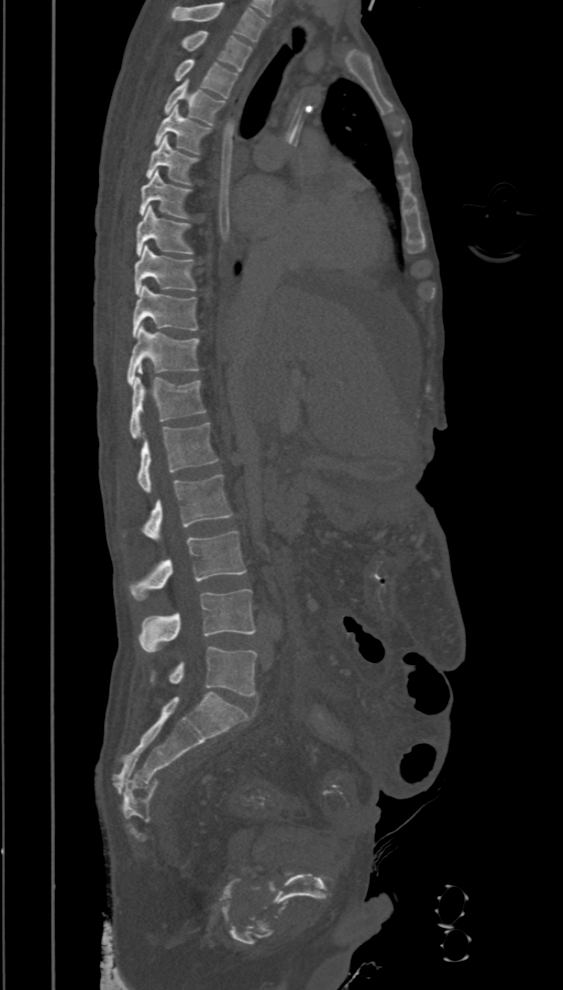
CT; sagittal view; 394 mm across the image
Boxes: x1 y1 x2 y2 (pixel coords, space-separated).
Labels in this scan begin with T2 at the top and end with L5 at the bottom.
Vertebra bounding boxes:
- T2: 181 30 252 71
- T3: 174 58 238 98
- T4: 164 80 224 125
- T5: 154 106 210 154
- T6: 145 136 197 184
- T7: 140 170 191 218
- T8: 137 205 194 255
- T9: 134 245 196 295
- T10: 133 285 197 336
- T11: 128 325 199 385
- T12: 130 377 206 438
- L1: 137 422 218 494
- L2: 141 475 232 539
- L3: 130 530 246 599
- L4: 139 589 256 652
- L5: 150 646 256 696